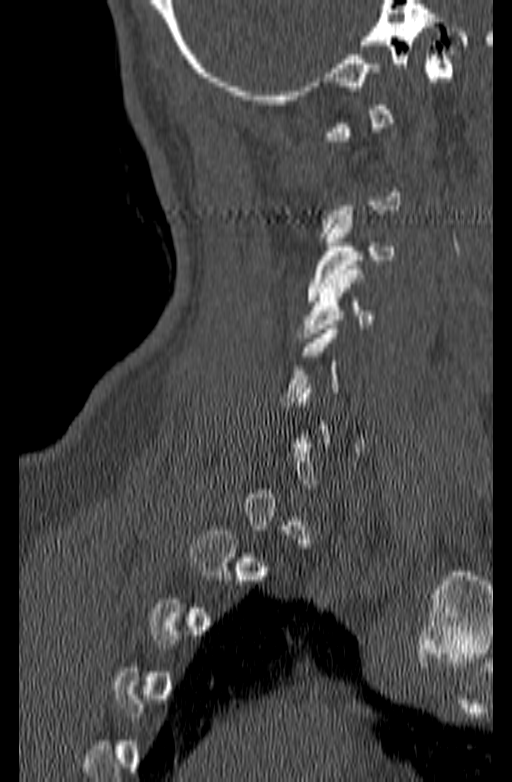 Computed tomography of the spine — sagittal reformat — Bone window (WL 400, WW 1800)
Each box given as x1,y1,x2,y2.
A vertebra gets a box only on the slices from the first to the last where its cross-section is at least a third of its largest; on a slice outside that range it gets none.
C4: x1=299, y1=265, x2=375, y2=337
C3: x1=307, y1=215, x2=395, y2=301